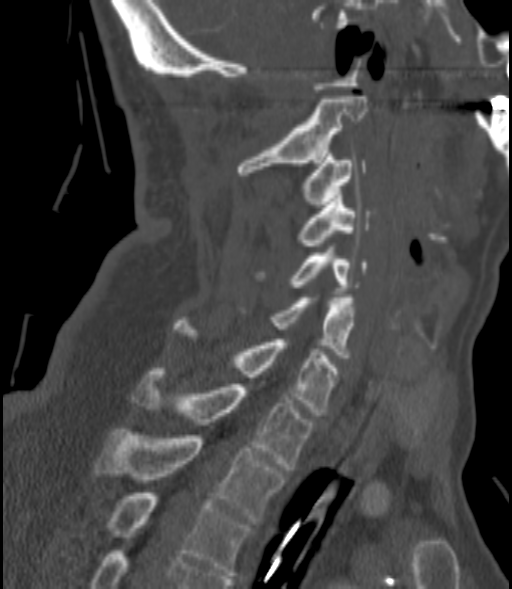 Spine CT; sagittal view; bone window
Boxes are given in columns x1, y1, x2, y2, the pixel coordinates of their top-left and bottom-right corners.
| vertebra | x1 | y1 | x2 | y2 |
|---|---|---|---|---|
| C2 | 237 | 96 | 366 | 175 |
| C3 | 303 | 150 | 366 | 207 |
| C4 | 298 | 195 | 368 | 245 |
| C5 | 259 | 250 | 366 | 290 |
| C6 | 270 | 298 | 356 | 357 |
| C7 | 173 | 320 | 338 | 415 |
| T1 | 131 | 371 | 312 | 469 |
| T2 | 96 | 429 | 284 | 524 |
| T3 | 108 | 493 | 248 | 578 |